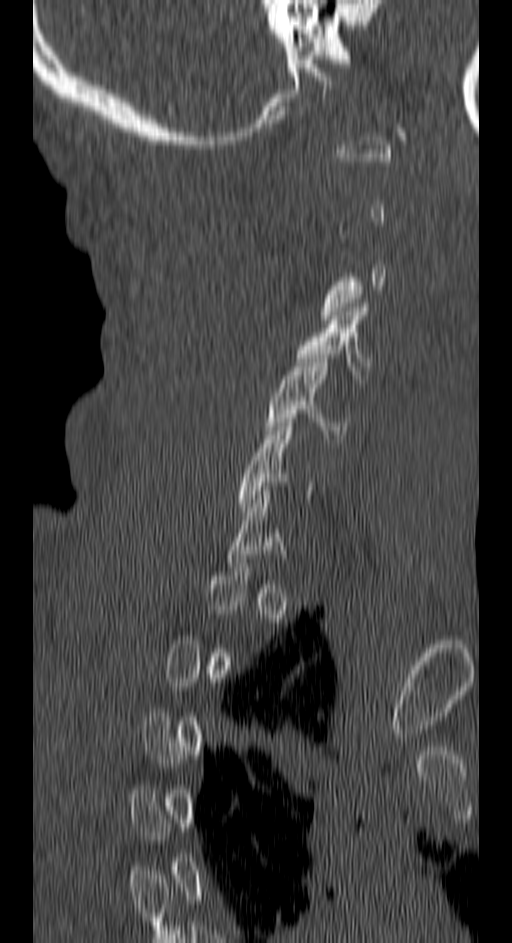

CT spine. sagittal view. image 150 mm wide. W/L 1800/400 HU. 512x943 px
Bounding boxes as [x1, y1, x2, y2] in pixel coordinates. Each vertebra is boxed only on the slices from the first to the last where its cross-section reaches a third of its largest, so a slice outside that range leaves it unboxed. Vertebrae labeled: C5 at [264, 354, 348, 438], C4 at [296, 303, 369, 379].